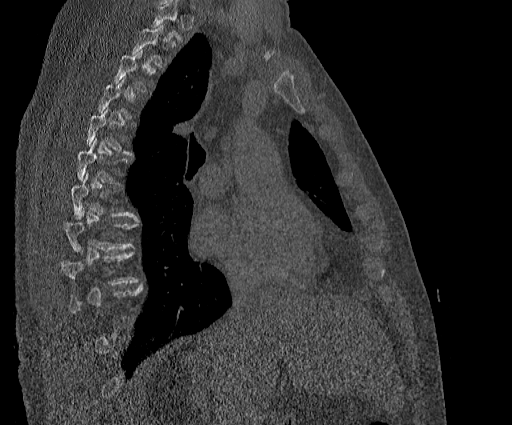

Computed tomography of the spine; sagittal view; bone window
Not every vertebra on this slice has a box: a vertebra is boxed only from the first to the last slice where its cross-section is at least a third of its largest, and this slice is outside that range for at least one of them.
<vertebrae><v name="T7" x1="70" y1="172" x2="139" y2="220"/><v name="T8" x1="64" y1="211" x2="138" y2="251"/></vertebrae>